CT, spine. sagittal plane, index 98
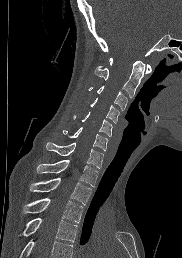
Bounding boxes as [x1, y1, x2, y2] in pixel coordinates.
Where the bottom of the scan cuts through a vertebra, that vertebra gets no label or box.
C1: [109, 57, 151, 73]
C2: [95, 61, 144, 97]
C3: [89, 85, 127, 110]
C4: [90, 98, 119, 123]
C5: [74, 112, 112, 136]
C6: [63, 127, 107, 150]
C7: [46, 142, 103, 168]
T1: [37, 159, 98, 186]
T2: [30, 178, 91, 204]
T3: [23, 198, 83, 223]
T4: [19, 217, 77, 242]